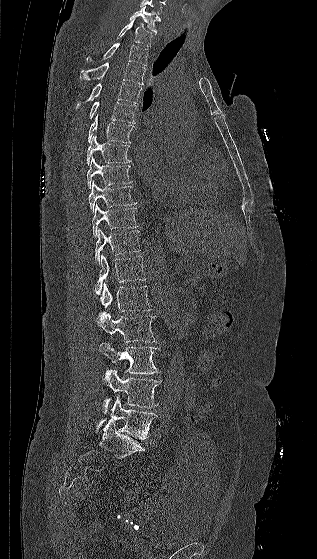 CT spine · sagittal view
<vertebrae><v name="C7" x1="129" y1="6" x2="160" y2="33"/><v name="T1" x1="116" y1="21" x2="152" y2="47"/><v name="T2" x1="86" y1="43" x2="148" y2="65"/><v name="T3" x1="80" y1="62" x2="145" y2="84"/><v name="T4" x1="76" y1="82" x2="142" y2="108"/><v name="T5" x1="88" y1="101" x2="136" y2="123"/><v name="T6" x1="87" y1="114" x2="134" y2="143"/><v name="T7" x1="87" y1="135" x2="131" y2="165"/><v name="T8" x1="87" y1="156" x2="132" y2="188"/><v name="T9" x1="88" y1="180" x2="137" y2="213"/><v name="T10" x1="92" y1="203" x2="138" y2="237"/><v name="T11" x1="95" y1="228" x2="141" y2="264"/><v name="T12" x1="95" y1="254" x2="146" y2="295"/><v name="L1" x1="100" y1="281" x2="152" y2="312"/><v name="L2" x1="95" y1="311" x2="156" y2="342"/><v name="L3" x1="98" y1="341" x2="160" y2="374"/><v name="L4" x1="102" y1="368" x2="160" y2="413"/><v name="L5" x1="95" y1="396" x2="158" y2="440"/></vertebrae>